Spine computed tomography. sagittal reformat. W/L 1800/400 HU. 281x245 px. part of the scan has been removed (filled with constant black)
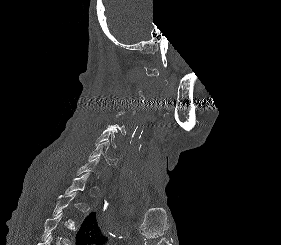
A vertebra is boxed only from the first to the last slice where its cross-section is at least a third of its largest; slices outside that range leave it without a box.
<vertebrae><v name="C5" x1="95" y1="130" x2="117" y2="147"/><v name="C6" x1="87" y1="140" x2="118" y2="165"/></vertebrae>